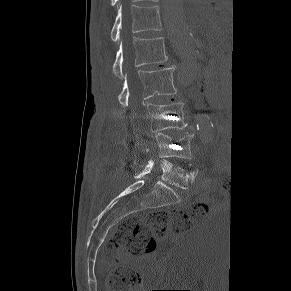
CT, spine. sagittal reformat. image width 291 mm
Each box is [x1, y1, x2, y2] in pixels: top-left corner, then bottom-right corner.
{"vertebrae":{"T12":[111,4,162,41],"L1":[113,37,167,78],"L2":[118,65,176,106],"L3":[147,103,188,131],"L4":[155,133,193,159],"L5":[134,159,198,188]}}